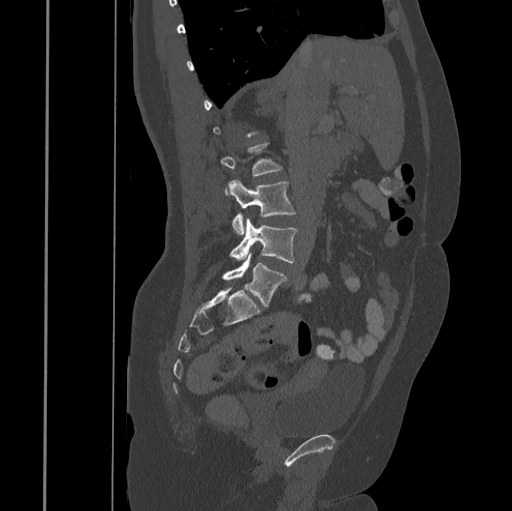 CT spine. sagittal view. 512x511 px

Boxes: x1 y1 x2 y2 (pixel coords, space-separated).
Not every vertebra on this slice has a box: a vertebra is boxed only from the first to the last slice where its cross-section is at least a third of its largest, and this slice is outside that range for at least one of them.
Vertebra bounding boxes:
- L3: 228 180 296 235
- L4: 230 218 297 262
- L5: 223 253 288 306